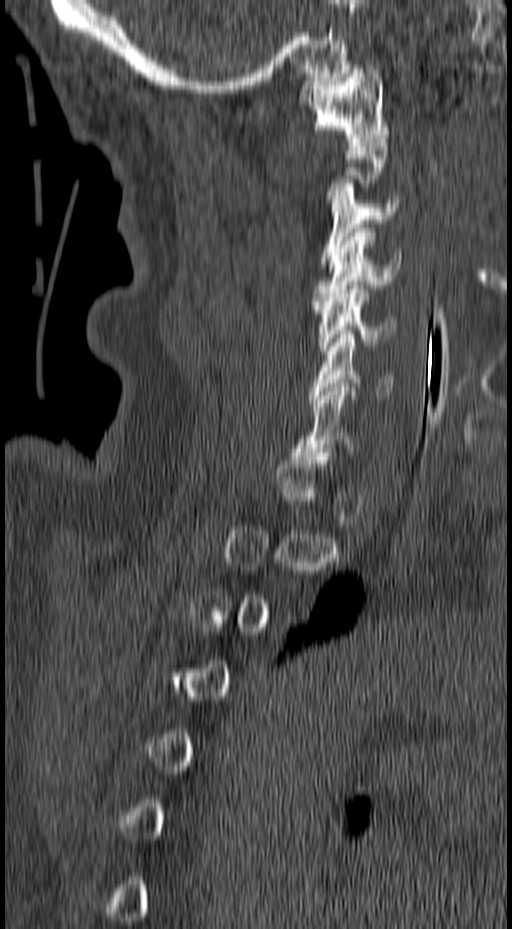 Spine CT — sagittal view — Bone window (WL 400, WW 1800) — 512x929 px
Each vertebra maps to its box as [x1, y1, x2, y2], the pixel coordinates of its top-left and bottom-right corners.
Not every vertebra on this slice has a box: a vertebra is boxed only from the first to the last slice where its cross-section is at least a third of its largest, and this slice is outside that range for at least one of them.
{"vertebrae":{"C1":[297,69,389,142],"C3":[319,183,398,264],"C4":[311,228,401,305],"C5":[312,285,397,354],"C6":[309,334,394,398],"C7":[293,387,356,456]}}